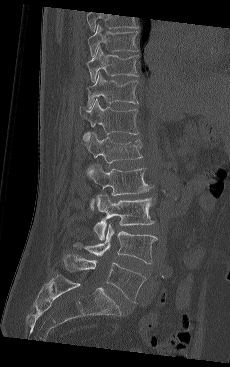
Spine computed tomography; sagittal view; W/L 1800/400 HU. Box edges are left/top/right/bottom in pixels.
This scan's labels start at T9 at the top and end at L5 at the bottom.
| vertebra | x1 | y1 | x2 | y2 |
|---|---|---|---|---|
| T9 | 88 | 24 | 139 | 57 |
| T10 | 86 | 47 | 139 | 82 |
| T11 | 87 | 72 | 138 | 108 |
| T12 | 80 | 99 | 139 | 139 |
| L1 | 85 | 132 | 142 | 175 |
| L2 | 89 | 163 | 149 | 209 |
| L3 | 93 | 193 | 154 | 240 |
| L4 | 73 | 223 | 157 | 264 |
| L5 | 62 | 254 | 146 | 302 |